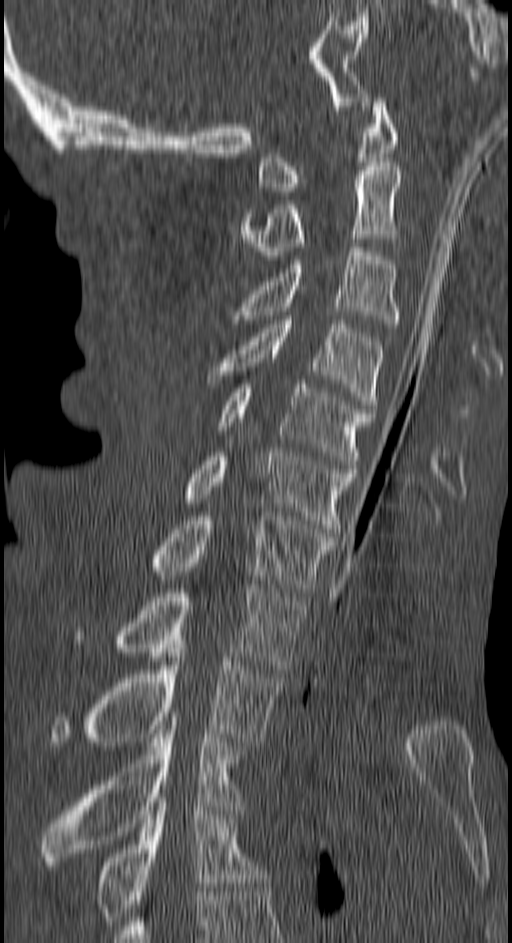 CT spine; sagittal view; W/L 1800/400 HU; 150 mm wide
Each vertebra maps to its box as [x1, y1, x2, y2], the pixel coordinates of its top-left and bottom-right corners.
{"vertebrae":{"C1":[257,98,396,191],"C2":[240,166,400,259],"C3":[233,247,400,328],"C4":[209,316,383,413],"C5":[220,384,374,468],"C6":[186,448,355,532],"C7":[151,512,335,592],"T1":[114,585,305,673],"T2":[52,644,284,746],"T3":[42,721,246,865],"T4":[97,802,266,921]}}